CT; Sagittal slice 106/207; 207x253 px
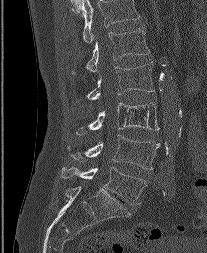

Boxes are (x1, y1, x2, y2) in pixels.
Labels in this scan begin with L1 at the top and end with L5 at the bottom.
Vertebra bounding boxes:
- L5: (61, 167, 145, 205)
- L4: (68, 135, 159, 169)
- L3: (76, 102, 159, 135)
- L2: (87, 63, 154, 100)
- L1: (72, 28, 149, 74)